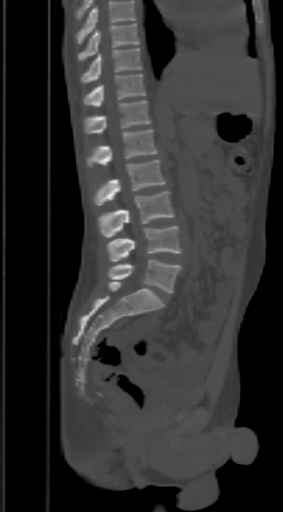 Computed tomography of the spine; sagittal view; bone window

Box edges are left/top/right/bottom in pixels.
Vertebrae that run past the top of the scan are left unlabeled.
T9: left=78, top=23, right=139, bottom=61
T10: left=81, top=48, right=142, bottom=83
T11: left=84, top=73, right=145, bottom=107
T12: left=84, top=101, right=150, bottom=133
L1: left=87, top=129, right=156, bottom=167
L2: left=92, top=159, right=164, bottom=205
L3: left=98, top=191, right=173, bottom=237
L4: left=106, top=226, right=181, bottom=261
L5: left=109, top=259, right=181, bottom=293